Spine computed tomography — sagittal plane, index 80 — 209x603 px
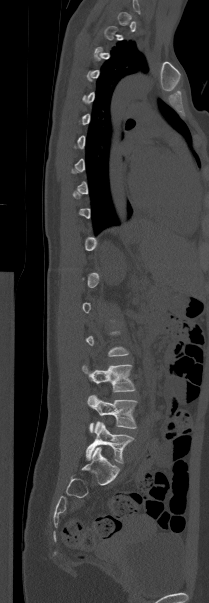 Boxes are (x1, y1, x2, y2) in pixels. A vertebra gets a box only on the slices from the first to the last where its cross-section is at least a third of its largest; on a slice outside that range it gets none. Vertebrae labeled: L5 at (86, 421, 133, 463), L4 at (87, 395, 137, 432), L3 at (82, 364, 135, 392).